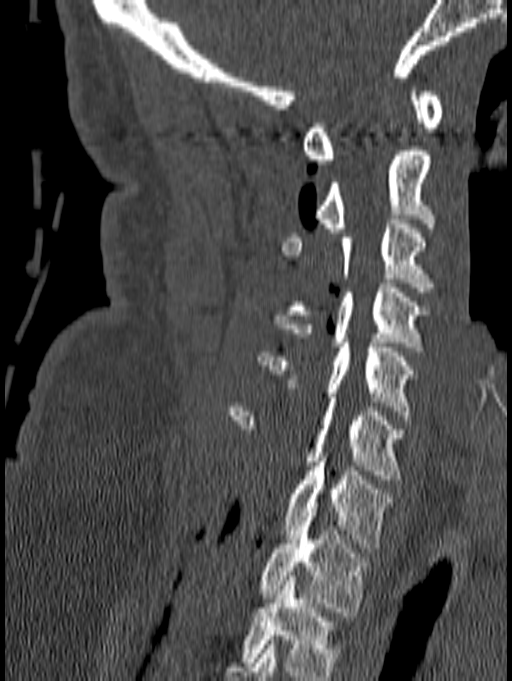 Spine CT; sagittal reformat; bone window; 512x681 px. Bounding boxes as [x1, y1, x2, y2] in pixel coordinates.
This scan's labels start at C1 at the top and end at T1 at the bottom.
Vertebra bounding boxes:
- C1: [302, 91, 443, 164]
- C2: [314, 146, 435, 232]
- C3: [282, 219, 434, 292]
- C4: [273, 283, 428, 351]
- C5: [258, 338, 416, 415]
- C6: [228, 398, 406, 479]
- C7: [283, 457, 392, 548]
- T1: [260, 512, 371, 616]